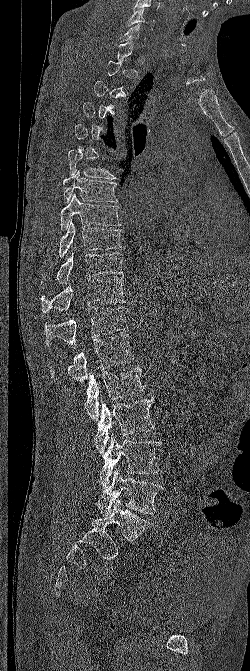 Spine computed tomography · sagittal reformat · bone-window reconstruction. Each row gives a vertebra's box as x1, y1, x2, y2 in pixels: top-left corner, then bottom-right corner.
A vertebra is boxed only from the first to the last slice where its cross-section is at least a third of its largest; slices outside that range leave it without a box.
| vertebra | x1 | y1 | x2 | y2 |
|---|---|---|---|---|
| C6 | 127 | 8 | 154 | 30 |
| T6 | 68 | 149 | 115 | 179 |
| T7 | 63 | 170 | 118 | 203 |
| T8 | 60 | 193 | 121 | 230 |
| T9 | 58 | 219 | 122 | 256 |
| T10 | 41 | 252 | 123 | 284 |
| T11 | 41 | 279 | 126 | 312 |
| T12 | 45 | 306 | 128 | 348 |
| L1 | 50 | 334 | 133 | 383 |
| L2 | 84 | 365 | 145 | 421 |
| L3 | 94 | 397 | 154 | 455 |
| L4 | 99 | 434 | 161 | 488 |
| L5 | 97 | 469 | 163 | 515 |